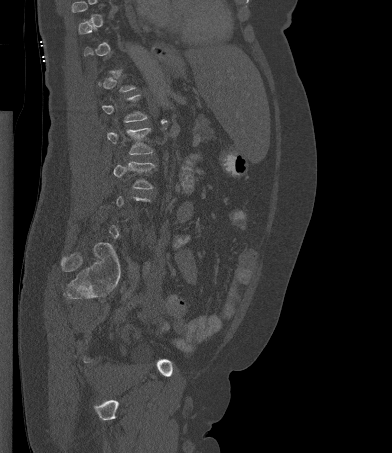
CT — sagittal view — 392x453 px

Boxes are (x1, y1, x2, y2) in pixels.
A vertebra gets a box only on the slices from the first to the last where its cross-section is at least a third of its largest; on a slice outside that range it gets none.
L2: (107, 127, 153, 154)
L3: (113, 161, 155, 189)